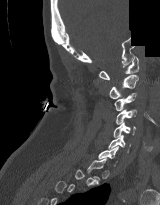 Spine computed tomography — sagittal view — part of the image has been replaced by a constant value. Coordinates as <box>x1,y1,x2,y2</box>.
A vertebra is boxed only from the first to the last slice where its cross-section is at least a third of its largest; slices outside that range leave it without a box.
Vertebra bounding boxes:
- C1: <box>98,56,138,79</box>
- C2: <box>109,75,138,99</box>
- C3: <box>114,93,137,110</box>
- C4: <box>115,109,137,124</box>
- C5: <box>113,122,136,137</box>
- C6: <box>108,134,130,152</box>